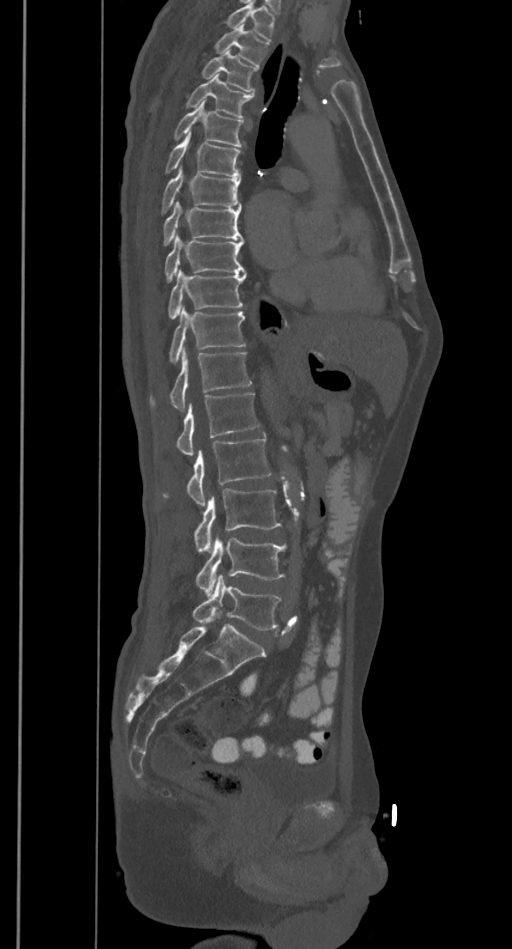 CT, spine — sagittal view — bone-window reconstruction. Each box given as x1,y1,x2,y2.
No box is given to a vertebra that the top edge of the scan cuts off.
L5: x1=193, y1=575, x2=282, y2=630
L4: x1=195, y1=539, x2=286, y2=596
L3: x1=194, y1=490, x2=281, y2=551
L2: x1=162, y1=437, x2=271, y2=505
L1: x1=175, y1=391, x2=259, y2=455
T12: x1=150, y1=351, x2=252, y2=410
T11: x1=169, y1=306, x2=245, y2=362
T10: x1=168, y1=269, x2=246, y2=317
T9: x1=165, y1=235, x2=245, y2=281
T8: x1=163, y1=202, x2=244, y2=244
T7: x1=161, y1=168, x2=241, y2=213
T6: x1=165, y1=133, x2=241, y2=177
T5: x1=174, y1=101, x2=244, y2=146
T4: x1=186, y1=74, x2=253, y2=117
T3: x1=202, y1=51, x2=258, y2=91
T2: x1=214, y1=25, x2=269, y2=65